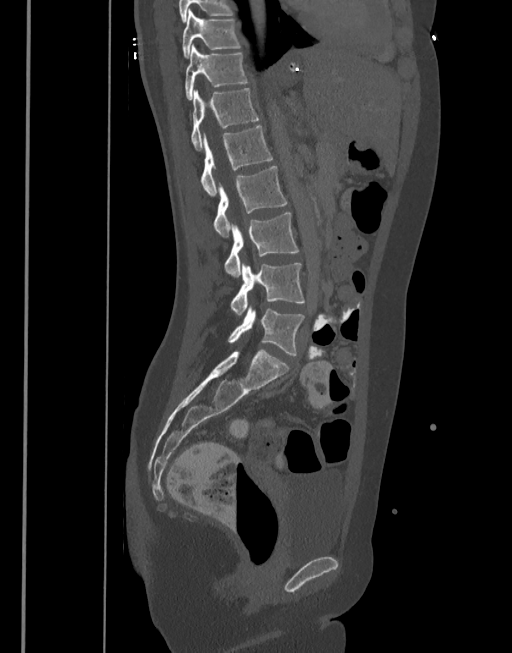
CT spine. sagittal view. 512x653 px. Bounding boxes as [x1, y1, x2, y2] in pixel coordinates.
T10: [182, 10, 241, 58]
T11: [185, 44, 249, 99]
T12: [191, 88, 260, 151]
L1: [201, 125, 273, 196]
L2: [213, 165, 287, 236]
L3: [224, 211, 299, 276]
L4: [229, 263, 306, 316]
L5: [228, 308, 304, 356]